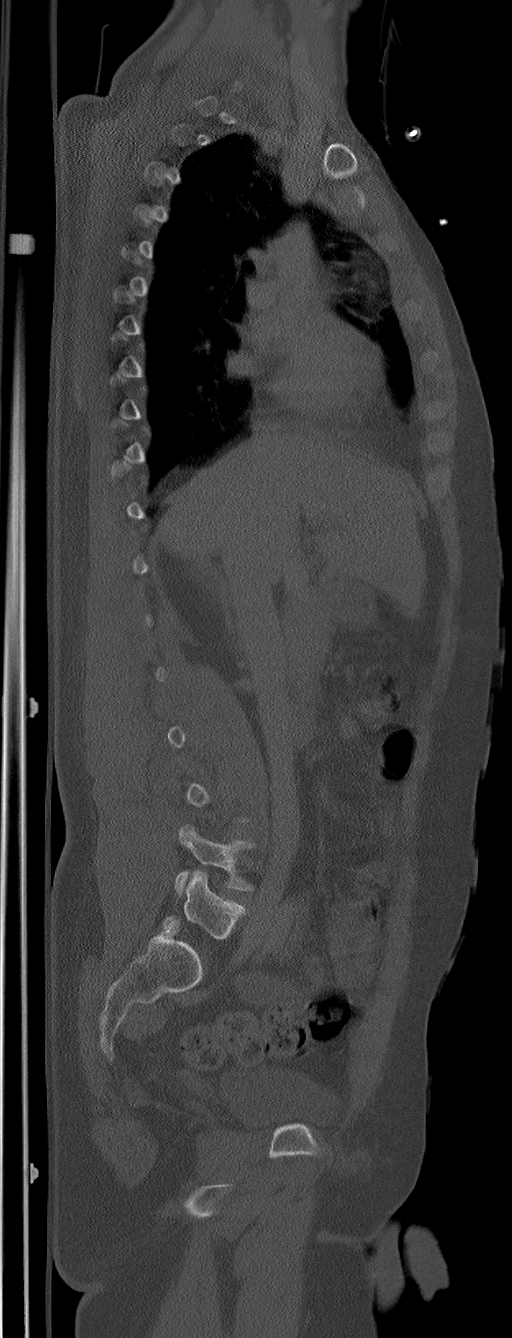
CT, spine; sagittal view; 512x1338 px
Coordinates as <box>x1,y1,x2,y2</box>.
A vertebra gets a box only on the slices from the first to the last where its cross-section is at least a third of its largest; on a slice outside that range it gets none.
In these labels the spine has an L6, a sixth lumbar vertebra below L5.
Vertebra bounding boxes:
- L6: <box>162,870,244,939</box>
- L5: <box>175,825,255,894</box>